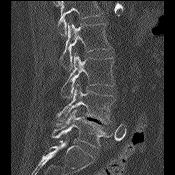

Computed tomography of the spine · sagittal view · 175x175 px

Boxes: x1:y1:x2:y2 in pixels.
A vertebra cut off by the top edge of the scan is not labeled and has no box.
L2: 60:21:111:69
L3: 61:52:114:98
L4: 54:83:115:126
L5: 52:109:113:148